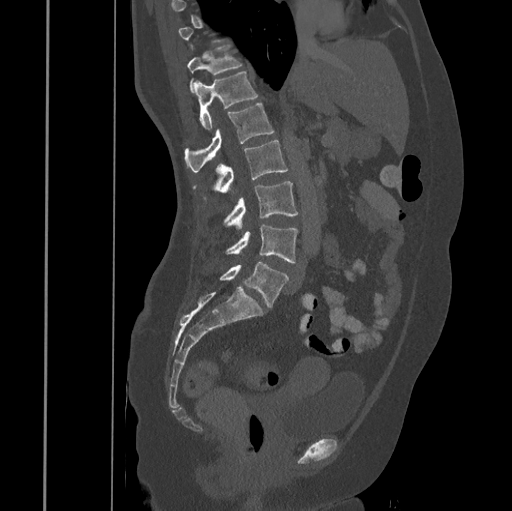
Spine computed tomography. sagittal view. W/L 1800/400 HU. 512x511 px. the image spans 445 mm across
Each box given as x1,y1,x2,y2. A vertebra gets a box only on the slices from the first to the last where its cross-section is at least a third of its largest; on a slice outside that range it gets none. Vertebrae labeled: T11 at x1=186, y1=46, x2=242, y2=93, T12 at x1=194, y1=71, x2=258, y2=128, L1 at x1=185, y1=104, x2=274, y2=171, L2 at x1=193, y1=140, x2=288, y2=200, L3 at x1=223, y1=181, x2=298, y2=228, L4 at x1=225, y1=224, x2=298, y2=262, L5 at x1=220, y1=262, x2=288, y2=308.